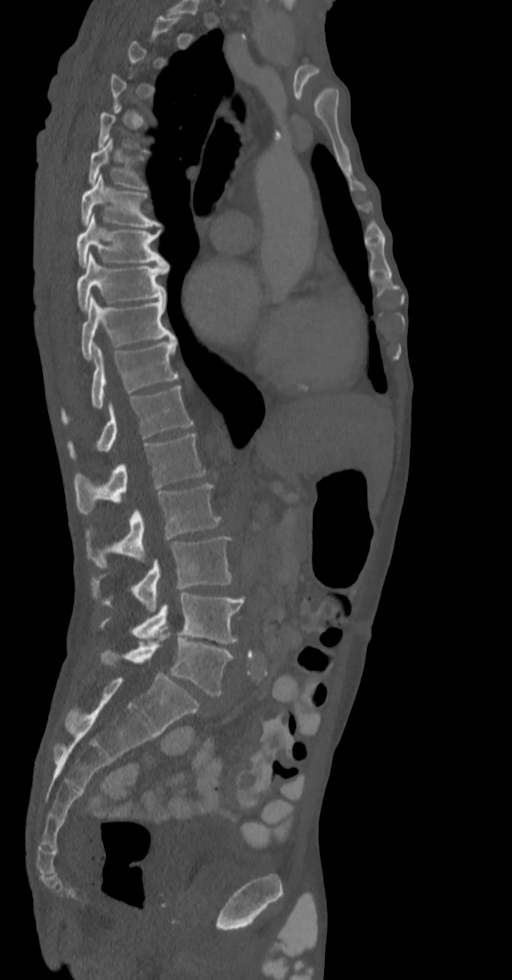 CT; sagittal view. Each box given as x1,y1,x2,y2. Each vertebra is boxed only on the slices from the first to the last where its cross-section reaches a third of its largest, so a slice outside that range leaves it unboxed. Vertebrae labeled: T6 at x1=88, y1=139, x2=145, y2=188, T7 at x1=80, y1=174, x2=159, y2=226, T8 at x1=76, y1=215, x2=166, y2=266, T9 at x1=76, y1=253, x2=168, y2=310, T10 at x1=80, y1=296, x2=175, y2=360, T11 at x1=62, y1=338, x2=179, y2=423, T12 at x1=68, y1=386, x2=192, y2=458, L1 at x1=74, y1=433, x2=206, y2=514, L2 at x1=87, y1=483, x2=221, y2=567, L3 at x1=91, y1=536, x2=232, y2=613, L4 at x1=100, y1=593, x2=244, y2=644, L5 at x1=102, y1=629, x2=233, y2=695.